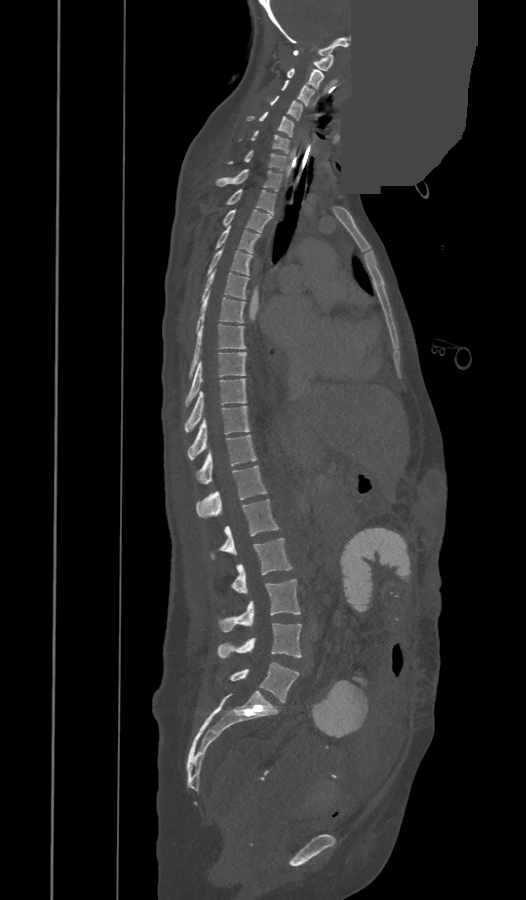 CT; sagittal view; bone window; 526x900 px; a region of this slice is masked with a uniform fill

The labels name an extra thoracic vertebra here, T13, which comes after T12 and before L1.
<vertebrae><v name="C1" x1="293" y1="50" x2="333" y2="71"/><v name="C2" x1="286" y1="68" x2="323" y2="89"/><v name="C3" x1="281" y1="80" x2="313" y2="106"/><v name="C4" x1="269" y1="96" x2="302" y2="120"/><v name="C5" x1="246" y1="111" x2="294" y2="137"/><v name="C6" x1="251" y1="130" x2="288" y2="154"/><v name="C7" x1="228" y1="150" x2="286" y2="170"/><v name="T1" x1="216" y1="169" x2="282" y2="190"/><v name="T2" x1="226" y1="189" x2="275" y2="214"/><v name="T3" x1="222" y1="209" x2="273" y2="232"/><v name="T4" x1="216" y1="226" x2="260" y2="252"/><v name="T5" x1="207" y1="249" x2="253" y2="275"/><v name="T6" x1="201" y1="271" x2="249" y2="301"/><v name="T7" x1="196" y1="292" x2="244" y2="333"/><v name="T8" x1="189" y1="325" x2="245" y2="379"/><v name="T9" x1="186" y1="352" x2="245" y2="406"/><v name="T10" x1="185" y1="379" x2="245" y2="431"/><v name="T11" x1="188" y1="406" x2="249" y2="459"/><v name="T12" x1="195" y1="435" x2="256" y2="484"/><v name="T13" x1="197" y1="466" x2="267" y2="518"/><v name="L1" x1="211" y1="499" x2="278" y2="559"/><v name="L2" x1="231" y1="538" x2="292" y2="592"/><v name="L3" x1="218" y1="579" x2="300" y2="631"/><v name="L4" x1="218" y1="623" x2="301" y2="658"/><v name="L5" x1="229" y1="662" x2="299" y2="702"/></vertebrae>